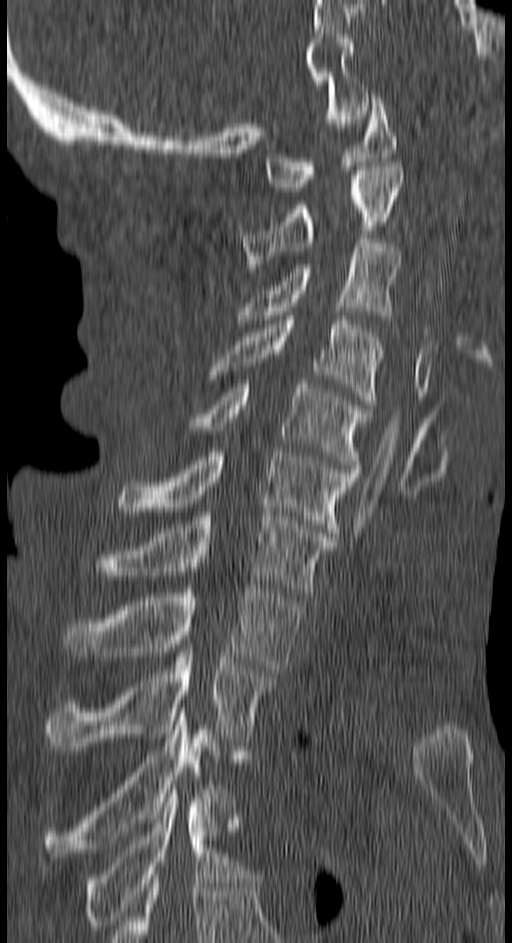

Spine CT · image width 150 mm · sagittal view · Bone window (WL 400, WW 1800) · 512x943 px
<vertebrae><v name="C1" x1="266" y1="94" x2="396" y2="191"/><v name="C2" x1="244" y1="166" x2="403" y2="272"/><v name="C3" x1="239" y1="239" x2="400" y2="323"/><v name="C4" x1="213" y1="316" x2="383" y2="404"/><v name="C5" x1="189" y1="380" x2="369" y2="468"/><v name="C6" x1="117" y1="452" x2="359" y2="537"/><v name="C7" x1="97" y1="512" x2="331" y2="596"/><v name="T1" x1="66" y1="585" x2="302" y2="673"/><v name="T2" x1="46" y1="649" x2="274" y2="750"/><v name="T3" x1="46" y1="708" x2="225" y2="852"/><v name="T4" x1="83" y1="789" x2="236" y2="933"/></vertebrae>